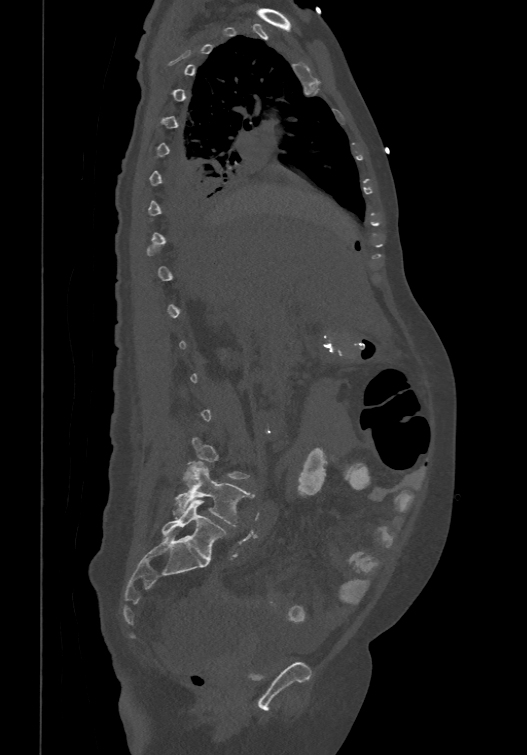
CT spine · image width 474 mm · sagittal reformat · Bone window (WL 400, WW 1800)

Bounding boxes as [x1, y1, x2, y2] in pixel coordinates. A vertebra is boxed only from the first to the last slice where its cross-section is at least a third of its largest; slices outside that range leave it without a box. These labels give the spine a sixth lumbar vertebra, L6, below L5. Vertebrae labeled: L6 at [161, 500, 226, 560], L5 at [173, 461, 253, 526].